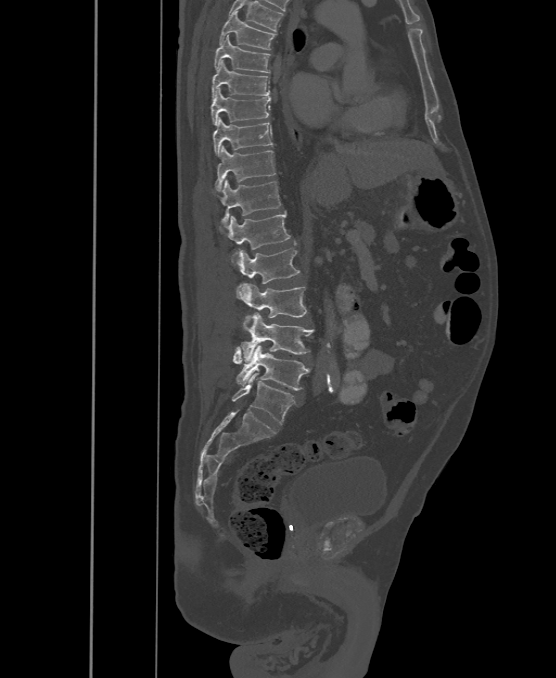 CT spine; sagittal view; bone window; 556x678 px. Coordinates as <box>x1,y1,x2,y2</box>.
These labels give the spine a sixth lumbar vertebra, L6, below L5.
Vertebra bounding boxes:
- T6: <box>219,11,276,49</box>
- T7: <box>214,35,270,73</box>
- T8: <box>212,61,269,98</box>
- T9: <box>212,89,270,125</box>
- T10: <box>214,118,272,155</box>
- T11: <box>215,146,276,191</box>
- T12: <box>220,180,281,227</box>
- L1: <box>228,211,290,266</box>
- L2: <box>238,248,300,284</box>
- L3: <box>237,284,307,329</box>
- L4: <box>241,313,314,362</box>
- L5: <box>233,346,309,390</box>
- L6: <box>232,373,294,424</box>